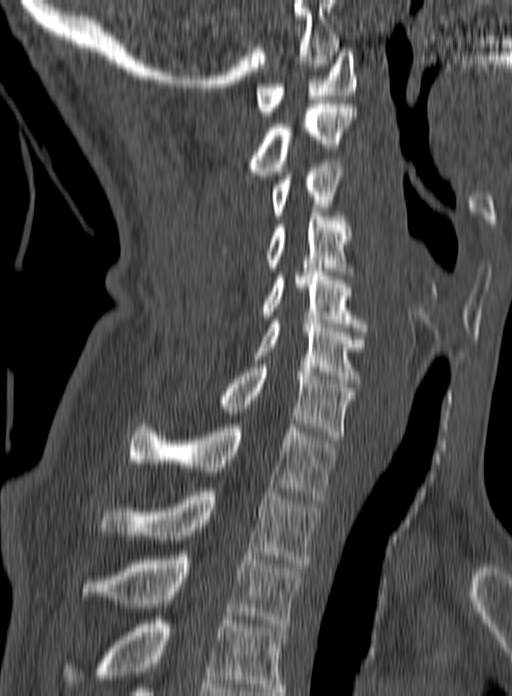
CT; sagittal view; 512x696 px; the image spans 160 mm across. Each row gives a vertebra's box as x1, y1, x2, y2 in pixels: top-left corner, then bottom-right corner.
In this scan, the topmost labeled vertebra is C1 and the lowest is T3.
| vertebra | x1 | y1 | x2 | y2 |
|---|---|---|---|---|
| C1 | 256 | 48 | 355 | 119 |
| C2 | 248 | 104 | 356 | 175 |
| C3 | 270 | 160 | 343 | 219 |
| C4 | 220 | 212 | 352 | 275 |
| C5 | 260 | 268 | 365 | 335 |
| C6 | 251 | 320 | 366 | 383 |
| C7 | 216 | 364 | 355 | 443 |
| T1 | 129 | 420 | 337 | 499 |
| T2 | 100 | 488 | 317 | 567 |
| T3 | 81 | 552 | 301 | 627 |